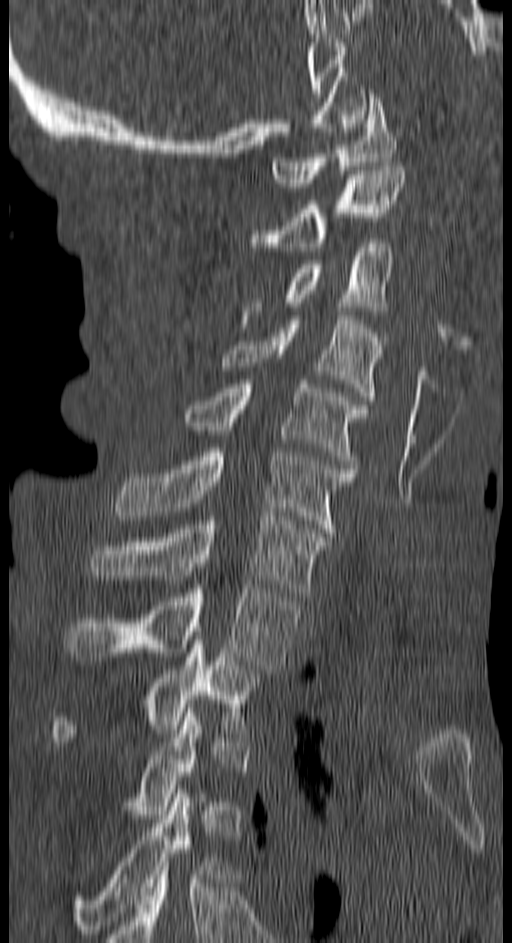

CT — sagittal reformat — Bone window (WL 400, WW 1800)
Each row gives a vertebra's box as x1, y1, x2, y2 in pixels: top-left corner, then bottom-right corner.
A vertebra gets a box only on the slices from the first to the last where its cross-section is at least a third of its largest; on a slice outside that range it gets none.
| vertebra | x1 | y1 | x2 | y2 |
|---|---|---|---|---|
| C1 | 271 | 94 | 396 | 187 |
| C2 | 252 | 166 | 406 | 251 |
| C3 | 244 | 239 | 393 | 319 |
| C4 | 221 | 316 | 386 | 400 |
| C5 | 186 | 380 | 365 | 468 |
| C6 | 114 | 452 | 355 | 537 |
| C7 | 90 | 516 | 328 | 596 |
| T1 | 66 | 585 | 296 | 673 |
| T2 | 52 | 640 | 265 | 746 |
| T4 | 73 | 789 | 225 | 933 |